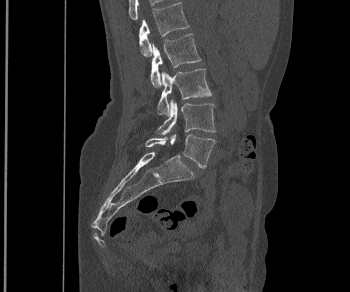
Spine computed tomography; sagittal reformat
<vertebrae><v name="L1" x1="139" y1="2" x2="189" y2="56"/><v name="L2" x1="150" y1="33" x2="201" y2="87"/><v name="L3" x1="157" y1="68" x2="211" y2="116"/><v name="L4" x1="157" y1="99" x2="215" y2="135"/><v name="L5" x1="145" y1="134" x2="215" y2="168"/></vertebrae>